CT spine — sagittal view — W/L 1800/400 HU
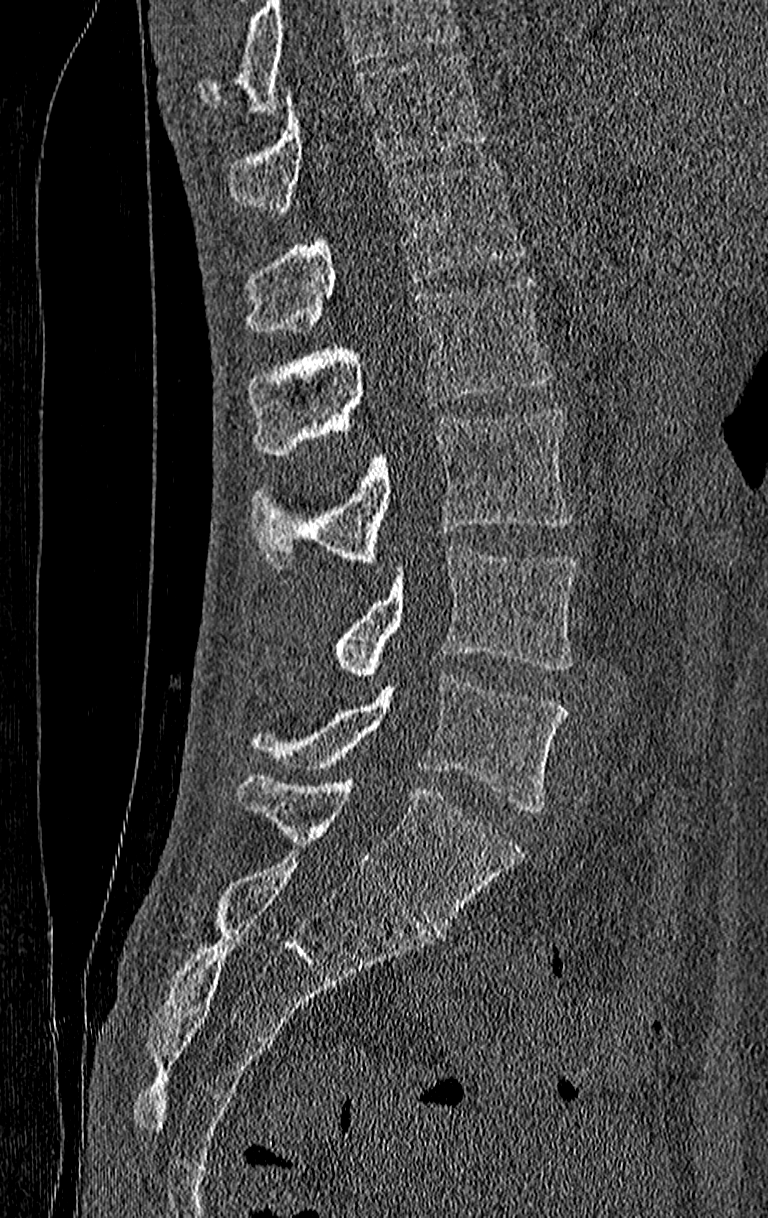
Columns x1, y1, x2, y2 give each box's top-left and bottom-right pixels.
Vertebrae that run past the top of the scan are left unlabeled.
This scan's labels start at T11 at the top and end at L4 at the bottom.
| vertebra | x1 | y1 | x2 | y2 |
|---|---|---|---|---|
| T11 | 229 | 53 | 488 | 211 |
| T12 | 247 | 158 | 524 | 333 |
| L1 | 247 | 278 | 554 | 457 |
| L2 | 251 | 410 | 575 | 570 |
| L3 | 331 | 546 | 579 | 677 |
| L4 | 247 | 673 | 568 | 812 |